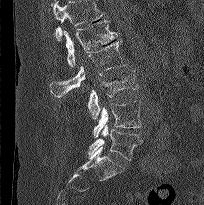

CT, spine. sagittal view. Bone window (WL 400, WW 1800). 204x205 px
Each box is [x1, y1, x2, y2] in pixels: top-left corner, then bottom-right corner.
A vertebra cut off by the top edge of the scan is not labeled and has no box.
{"vertebrae":{"L5":[88,125,142,160],"L4":[92,100,141,137],"L3":[87,69,138,119],"L2":[50,40,126,97],"L1":[63,20,119,66]}}